CT spine. sagittal reformat
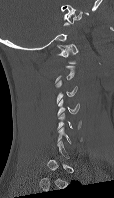
Boxes below are [x1, y1, x2, y2] in pixels.
Not every vertebra on this slice has a box: a vertebra is boxed only from the first to the last slice where its cross-section is at least a third of its largest, and this slice is outside that range for at least one of them.
{"vertebrae":{"C1":[56,44,78,63],"C3":[55,80,77,103],"C4":[57,98,79,116],"C5":[57,112,81,129]}}